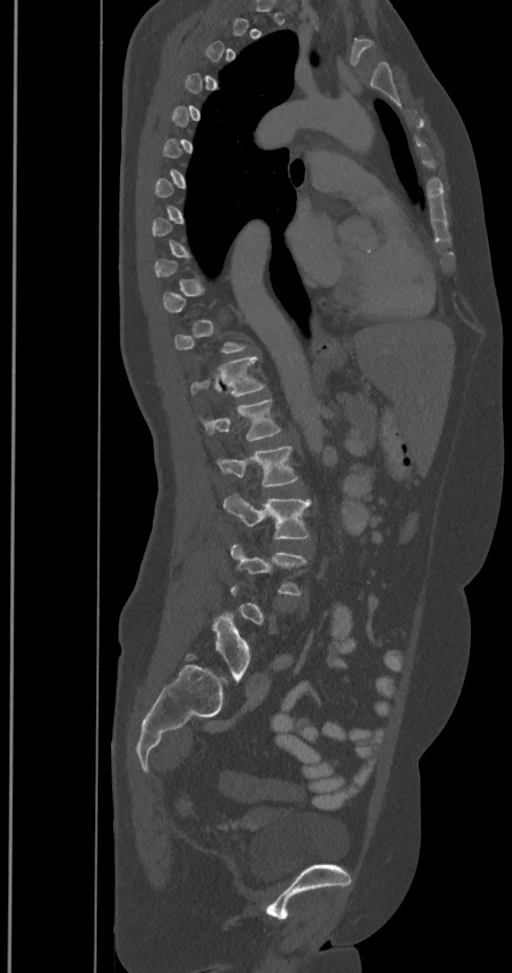 CT spine — sagittal view — Bone window (WL 400, WW 1800) — 512x973 px — image 350 mm wide. Columns x1, y1, x2, y2 give each box's top-left and bottom-right pixels.
A vertebra is boxed only from the first to the last slice where its cross-section is at least a third of its largest; slices outside that range leave it without a box.
In these labels the spine has an L6, a sixth lumbar vertebra below L5.
| vertebra | x1 | y1 | x2 | y2 |
|---|---|---|---|---|
| L6 | 213 | 612 | 250 | 678 |
| L4 | 231 | 545 | 306 | 594 |
| L3 | 224 | 495 | 310 | 539 |
| L2 | 218 | 445 | 297 | 486 |
| L1 | 203 | 400 | 281 | 441 |
| T12 | 190 | 355 | 264 | 395 |